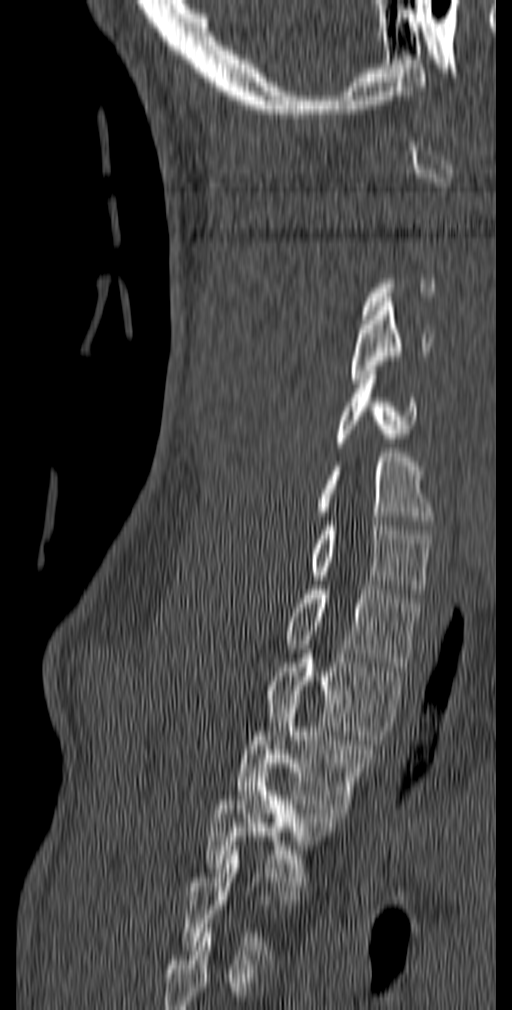
CT, spine. sagittal view. bone-window reconstruction

In the table, x1 and y1 are a box's top-left corner and x2 and y2 its bottom-right corner, in pixels.
Not every vertebra on this slice has a box: a vertebra is boxed only from the first to the last slice where its cross-section is at least a third of its largest, and this slice is outside that range for at least one of them.
This scan's labels start at C1 at the top and end at T5 at the bottom.
| vertebra | x1 | y1 | x2 | y2 |
|---|---|---|---|---|
| T5 | 180 | 846 | 302 | 954 |
| T4 | 206 | 773 | 334 | 886 |
| T3 | 235 | 695 | 376 | 817 |
| T2 | 265 | 649 | 405 | 740 |
| T1 | 283 | 585 | 421 | 671 |
| C7 | 309 | 521 | 432 | 598 |
| C6 | 317 | 453 | 436 | 525 |
| C5 | 334 | 370 | 417 | 447 |
| C4 | 350 | 302 | 433 | 383 |